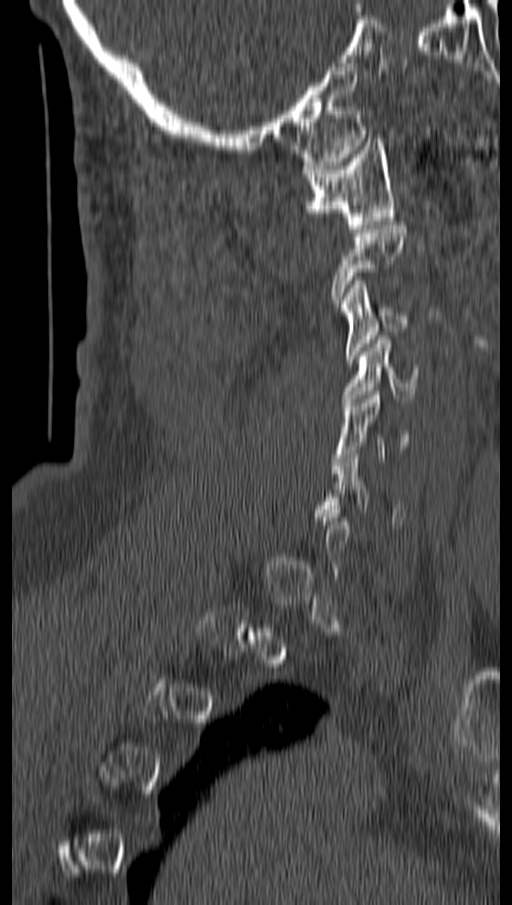 CT, spine. 162 mm wide. sagittal reformat. bone window
Each vertebra maps to its box as [x1, y1, x2, y2], the pixel coordinates of its top-left and bottom-right corners.
Each vertebra is boxed only on the slices from the first to the last where its cross-section reaches a third of its largest, so a slice outside that range leaves it unboxed.
{"vertebrae":{"C1":[302,138,395,232],"C3":[339,280,410,362],"C4":[342,336,418,406],"C5":[333,391,410,469]}}